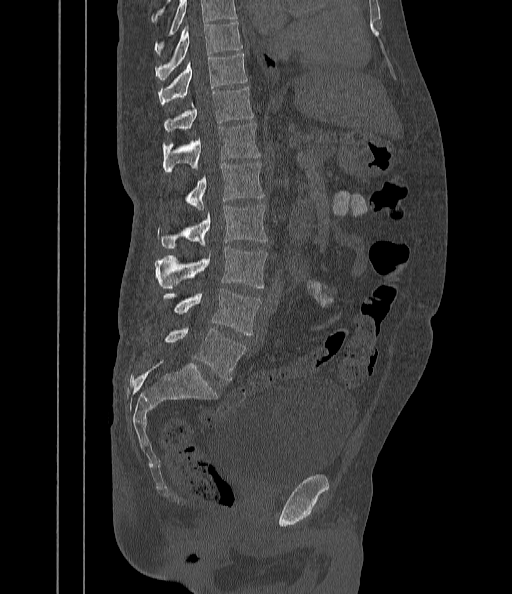
Spine CT — sagittal view — bone window

Box edges are left/top/right/bottom in pixels.
A vertebra cut off by the top edge of the scan is not labeled and has no box.
T9: left=155, top=23, right=242, bottom=81
T10: left=159, top=54, right=247, bottom=105
T11: left=163, top=87, right=254, bottom=131
T12: left=162, top=123, right=261, bottom=171
L1: left=184, top=162, right=264, bottom=209
L2: left=157, top=203, right=268, bottom=247
L3: left=155, top=247, right=267, bottom=289
L4: left=163, top=288, right=261, bottom=336
L5: left=164, top=328, right=246, bottom=381